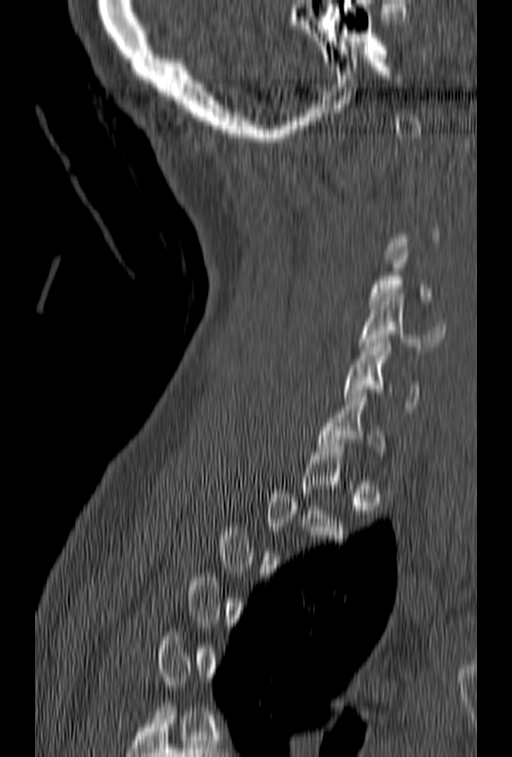
Computed tomography of the spine — sagittal view — 512x757 px — the image is 153 mm wide
Coordinates as <box>x1,y1,x2,y2</box>.
Not every vertebra on this slice has a box: a vertebra is boxed only from the first to the last slice where its cross-section is at least a third of its largest, and this slice is outside that range for at least one of them.
Vertebra bounding boxes:
- C4: <box>369,247,431,309</box>
- C5: <box>359,293,445,350</box>
- C6: <box>343,339,419,413</box>
- C7: <box>316,389,385,455</box>